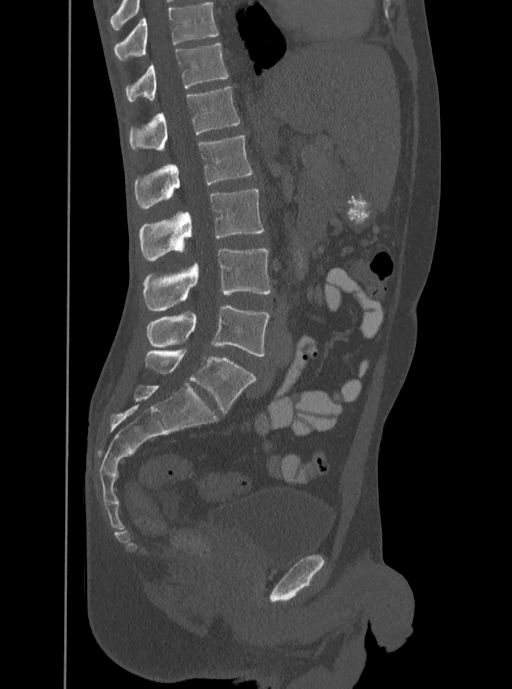

Spine computed tomography. sagittal view. W/L 1800/400 HU

Boxes are (x1, y1, x2, y2) in pixels.
The highest labeled vertebra in this scan is T12; the lowest is L5.
Vertebra bounding boxes:
- L5: (146, 305, 269, 356)
- L4: (143, 249, 271, 311)
- L3: (139, 188, 264, 261)
- L2: (134, 136, 252, 208)
- L1: (130, 86, 240, 150)
- T12: (126, 42, 228, 100)